CT spine. Sagittal slice 356/512
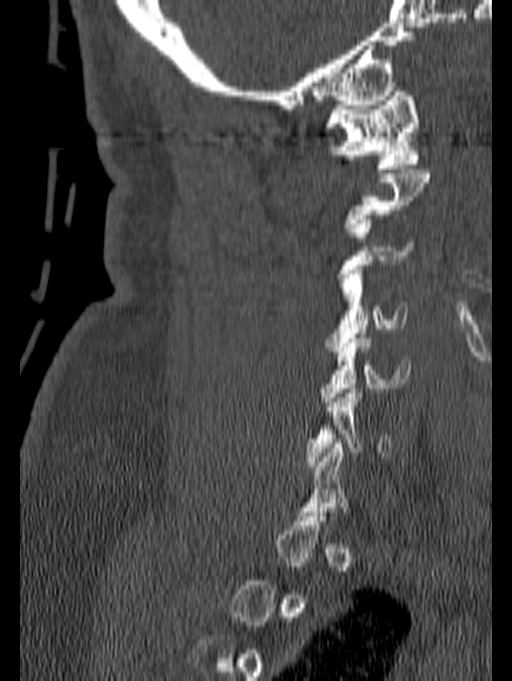 Boxes: x1 y1 x2 y2 (pixel coords, space-separated).
Each vertebra is boxed only on the slices from the first to the last where its cross-section reaches a third of its largest, so a slice outside that range leaves it unboxed.
C1: 325 91 419 173
C3: 336 219 416 282
C4: 325 270 407 351
C5: 317 334 410 406
C6: 305 384 391 470